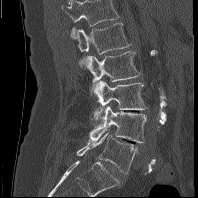 CT; sagittal view
Each vertebra maps to its box as [x1, y1, x2, y2], the pixel coordinates of its top-left and bottom-right corners.
This scan's labels start at L1 at the top and end at L5 at the bottom.
{"vertebrae":{"L1":[73,23,131,67],"L2":[86,51,141,92],"L3":[93,80,147,121],"L4":[89,106,146,142],"L5":[76,132,137,173]}}